CT · sagittal reformat · W/L 1800/400 HU · 18 vertebrae labeled in this scan
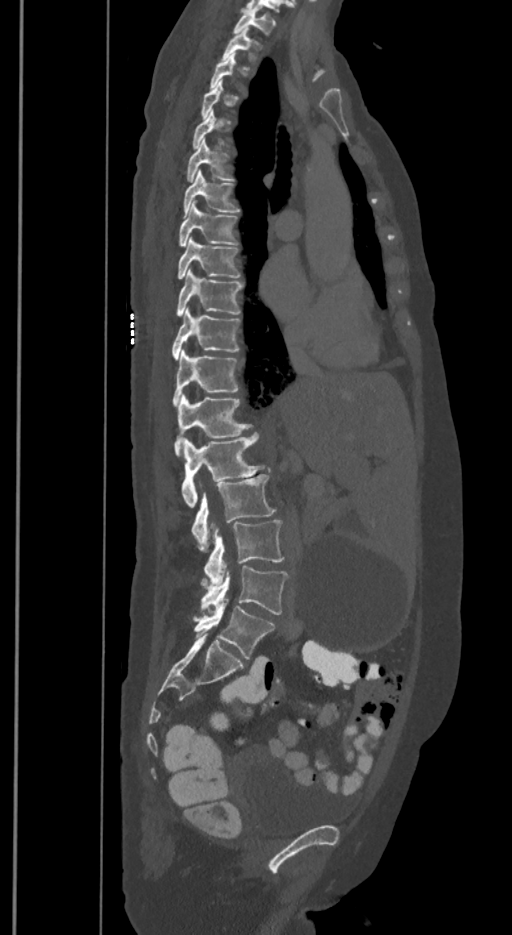

Boxes are (x1, y1, x2, y2) in pixels. A vertebra gets a box only on the slices from the first to the last where its cross-section is at least a third of its largest; on a slice outside that range it gets none. In these labels the spine has an L6, a sixth lumbar vertebra below L5. The labeled vertebrae in this slice are: T1 at (234, 9, 275, 35), T2 at (222, 28, 258, 62), T6 at (187, 140, 233, 181), T7 at (183, 170, 240, 216), T8 at (178, 200, 237, 247), T9 at (177, 237, 240, 278), T10 at (177, 270, 243, 316), T11 at (172, 309, 240, 358), T12 at (172, 350, 239, 406), L1 at (174, 395, 252, 456), L2 at (181, 433, 265, 507), L3 at (191, 474, 275, 551), L4 at (203, 520, 284, 585), L5 at (200, 566, 287, 614), L6 at (194, 599, 274, 659).